CT, spine · sagittal plane, index 489 · bone window
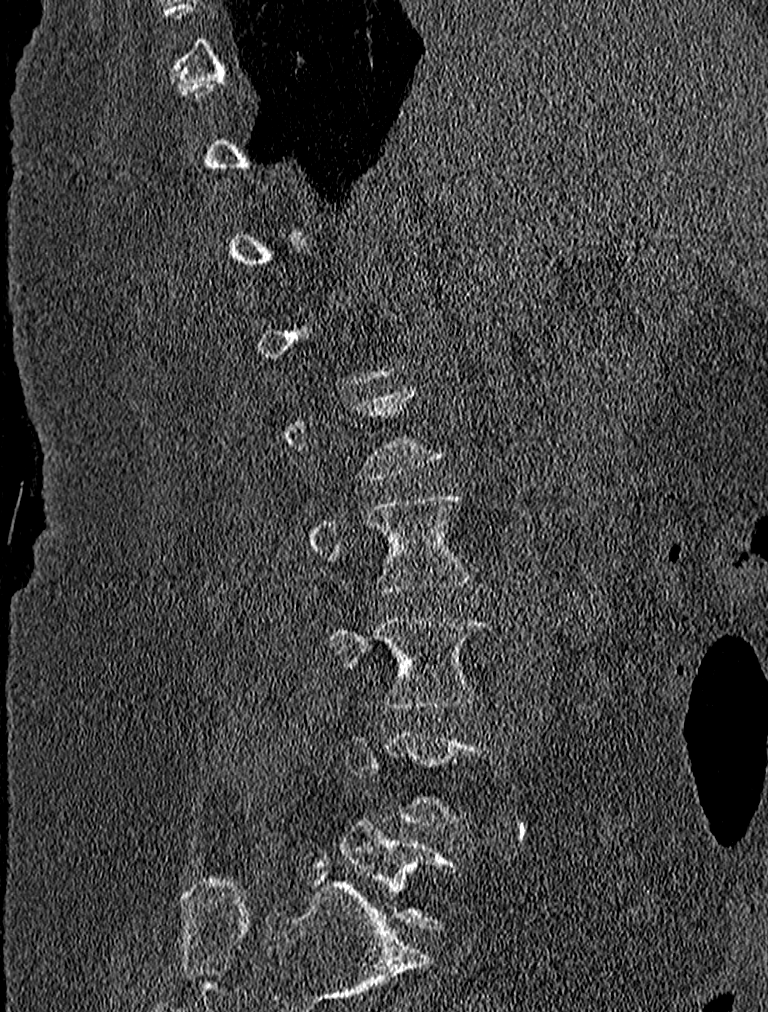

Each box is [x1, y1, x2, y2] in pixels: top-left corner, then bottom-right corner.
Not every vertebra on this slice has a box: a vertebra is boxed only from the first to the last slice where its cross-section is at least a third of its largest, and this slice is outside that range for at least one of them.
{"vertebrae":{"L5":[341,821,455,928],"L3":[327,615,488,708],"L2":[310,495,471,593]}}